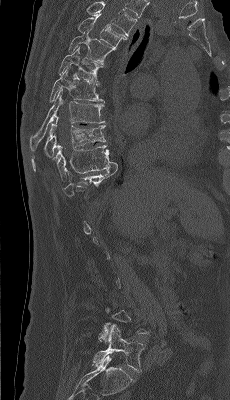 CT; sagittal view; bone-window reconstruction
Boxes: x1 y1 x2 y2 (pixel coords, space-separated).
Each vertebra is boxed only on the slices from the first to the last where its cross-section reaches a third of its largest, so a slice outside that range leaves it unboxed.
In this scan, the topmost labeled vertebra is T4 and the lowest is L5.
L5: 92 325 144 372
T10: 52 145 117 181
T9: 31 116 105 171
T8: 30 89 104 151
T7: 50 68 103 101
T6: 59 47 102 84
T5: 68 27 116 65
T4: 78 13 126 47